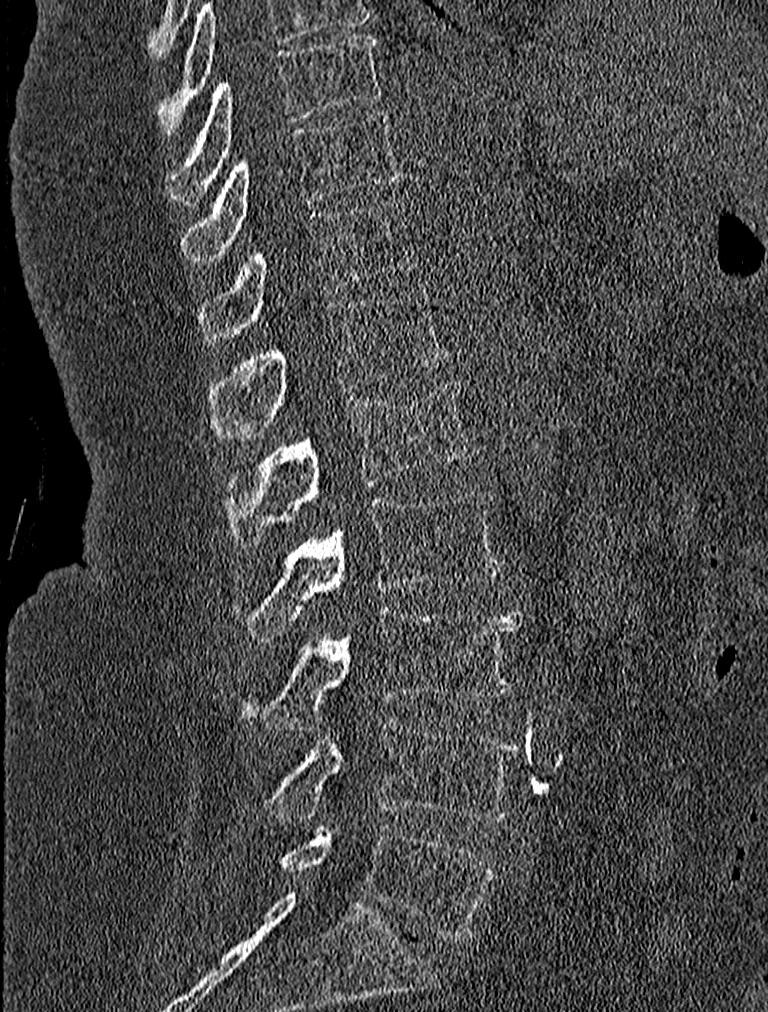 Spine CT. sagittal reformat. bone-window reconstruction. 768x1012 px
Bounding boxes as [x1, y1, x2, y2] in pixel coordinates.
L5: [276, 827, 495, 938]
L4: [263, 719, 519, 823]
L3: [242, 607, 522, 728]
L2: [236, 490, 502, 640]
L1: [225, 379, 475, 546]
T12: [209, 288, 448, 439]
T11: [198, 199, 417, 345]
T10: [182, 108, 404, 259]
T9: [168, 33, 384, 206]